Spine computed tomography — Sagittal slice 100/162 — bone-window reconstruction — 6 vertebrae labeled in this scan
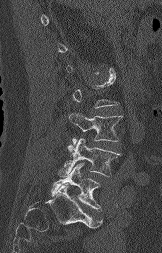
Not every vertebra on this slice has a box: a vertebra is boxed only from the first to the last slice where its cross-section is at least a third of its largest, and this slice is outside that range for at least one of them.
<vertebrae><v name="L5" x1="51" y1="163" x2="101" y2="210"/><v name="L4" x1="58" y1="138" x2="120" y2="178"/><v name="L3" x1="69" y1="112" x2="122" y2="143"/></vertebrae>